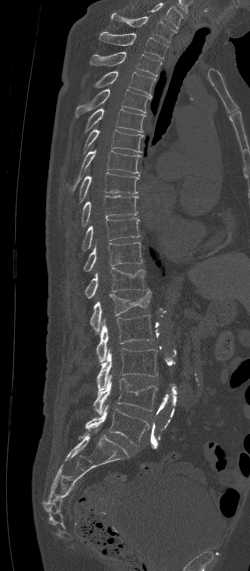

CT spine. sagittal view. Bone window (WL 400, WW 1800). 250x571 px. Coordinates as <box>x1,y1,x2,y2</box>.
This scan's labels start at C7 at the top and end at L5 at the bottom.
Vertebra bounding boxes:
- C7: <box>111,13,177,42</box>
- T1: <box>99,32,168,59</box>
- T2: <box>90,52,161,76</box>
- T3: <box>94,71,155,96</box>
- T4: <box>76,89,150,116</box>
- T5: <box>85,108,145,133</box>
- T6: <box>83,129,143,154</box>
- T7: <box>72,150,141,191</box>
- T8: <box>79,172,139,202</box>
- T9: <box>81,196,137,227</box>
- T10: <box>82,218,140,250</box>
- T11: <box>84,242,142,271</box>
- T12: <box>84,267,146,298</box>
- L1: <box>90,288,151,334</box>
- L2: <box>96,315,155,362</box>
- L3: <box>96,348,157,393</box>
- L4: <box>93,375,158,415</box>
- L5: <box>77,405,149,444</box>